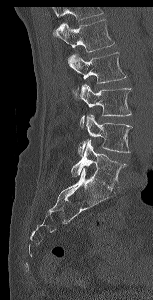
CT spine — sagittal view. Coordinates as <box>x1,y1,x2,y2</box>.
Vertebrae that run past the top of the scan are left unlabeled.
L1: <box>52,19,114,52</box>
L2: <box>67,52,126,83</box>
L3: <box>74,84,131,127</box>
L4: <box>78,114,132,154</box>
L5: <box>71,140,126,189</box>